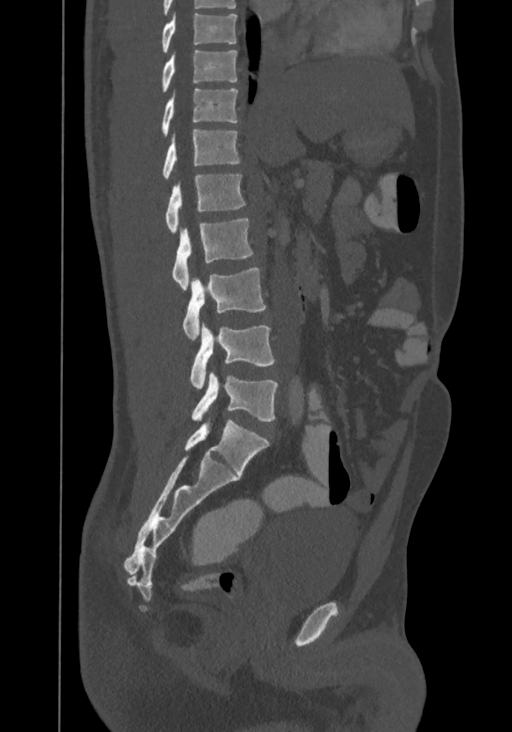

Spine CT — sagittal view

In this scan, the topmost labeled vertebra is T8 and the lowest is L4.
<vertebrae><v name="T8" x1="162" y1="14" x2="236" y2="53"/><v name="T9" x1="162" y1="49" x2="237" y2="92"/><v name="T10" x1="162" y1="88" x2="237" y2="136"/><v name="T11" x1="163" y1="129" x2="240" y2="179"/><v name="T12" x1="166" y1="175" x2="246" y2="233"/><v name="L1" x1="171" y1="218" x2="253" y2="289"/><v name="L2" x1="183" y1="267" x2="265" y2="339"/><v name="L3" x1="190" y1="324" x2="275" y2="388"/><v name="L4" x1="191" y1="372" x2="278" y2="421"/></vertebrae>